CT, spine — sagittal reformat — part of the image has been replaced by a constant value
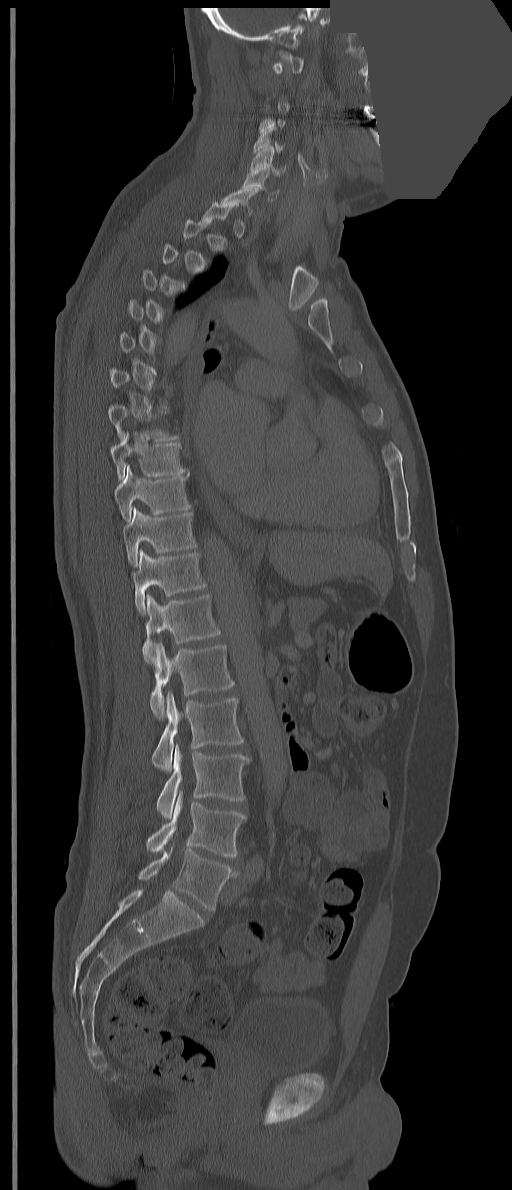

Boxes: x1 y1 x2 y2 (pixel coords, space-separated).
Each vertebra is boxed only on the slices from the first to the last where its cross-section reaches a third of its largest, so a slice outside that range leaves it unboxed.
In these labels the spine has a T13, a thirteenth thoracic vertebra, between T12 and L1.
L5: 138 847 236 911
L4: 146 792 246 857
L3: 156 744 250 818
L2: 152 691 244 771
L1: 150 642 234 718
T13: 142 594 221 663
T12: 133 549 206 616
T11: 123 506 196 567
T10: 114 465 190 521
T9: 110 431 186 480
C6: 242 170 279 201
C5: 248 145 285 176
C4: 253 127 282 153
C1: 272 50 303 74